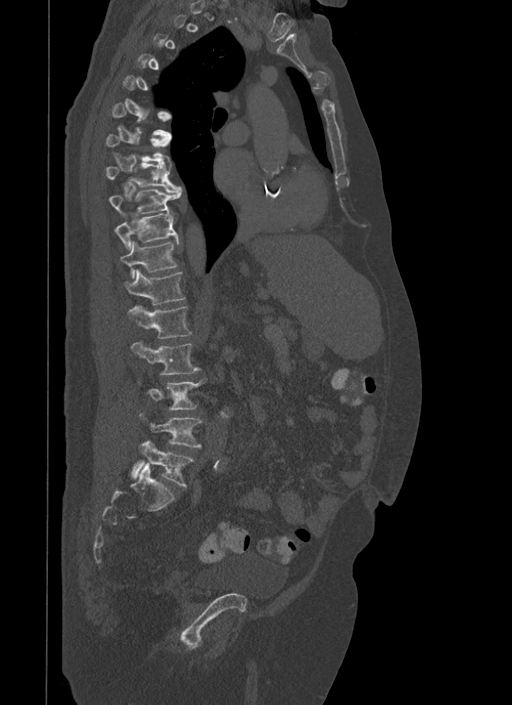

Spine CT. sagittal view. bone window. 512x705 px
Bounding boxes as [x1, y1, x2, y2] in pixel coordinates.
Each vertebra is boxed only on the slices from the first to the last where its cross-section reaches a third of its largest, so a slice outside that range leaves it unboxed.
T7: [105, 134, 171, 164]
T8: [105, 162, 181, 192]
T9: [108, 189, 182, 213]
T10: [115, 211, 178, 249]
T11: [119, 240, 178, 279]
T12: [124, 269, 185, 304]
L1: [127, 306, 191, 338]
L2: [132, 342, 200, 374]
L3: [149, 378, 207, 410]
L4: [141, 415, 202, 448]
L5: [132, 441, 193, 486]